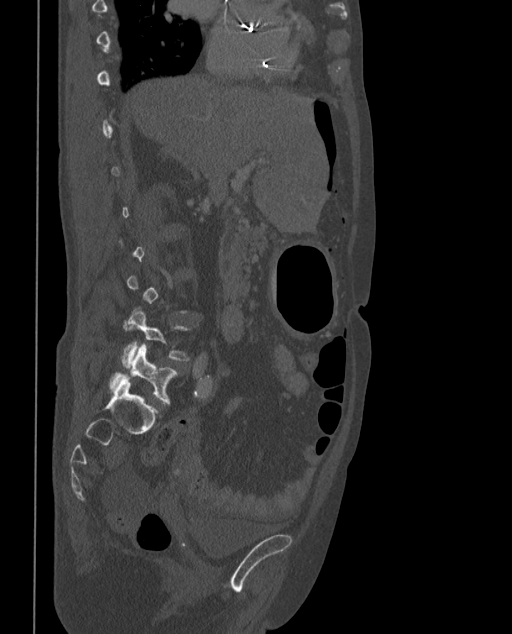

Spine computed tomography; sagittal view; Bone window (WL 400, WW 1800)
Each row gives a vertebra's box as x1, y1, x2, y2 in pixels: top-left corner, then bottom-right corner.
A vertebra is boxed only from the first to the last slice where its cross-section is at least a third of its largest; slices outside that range leave it without a box.
These labels give the spine a sixth lumbar vertebra, L6, below L5.
| vertebra | x1 | y1 | x2 | y2 |
|---|---|---|---|---|
| L5 | 122 | 308 | 188 | 367 |
| L6 | 110 | 345 | 177 | 404 |